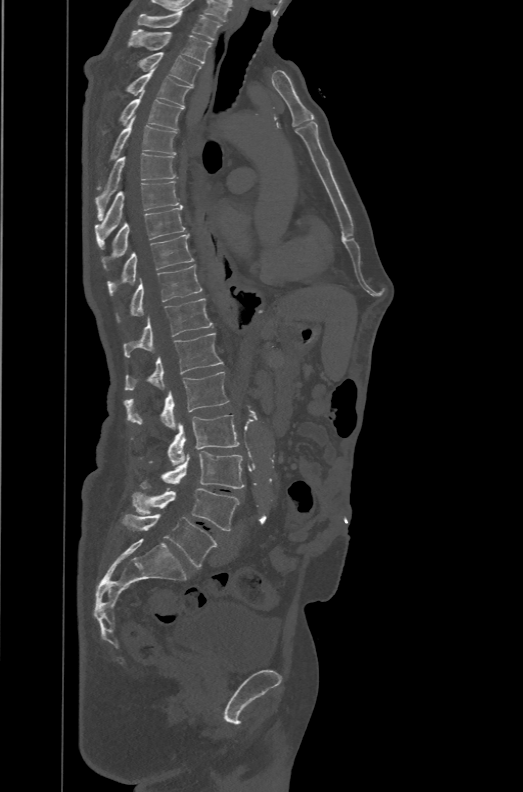
CT, spine — 471 mm image width — sagittal reformat
Boxes are (x1, y1, x2, y2) in pixels.
These labels give the spine a sixth lumbar vertebra, L6, below L5.
Vertebra bounding boxes:
- T1: (137, 11, 222, 40)
- T2: (128, 30, 212, 63)
- T3: (138, 52, 201, 86)
- T4: (127, 69, 191, 107)
- T5: (119, 91, 182, 130)
- T6: (96, 115, 177, 189)
- T7: (94, 153, 177, 220)
- T8: (94, 181, 183, 249)
- T9: (102, 208, 185, 268)
- T10: (107, 234, 193, 294)
- T11: (117, 265, 202, 321)
- T12: (124, 298, 213, 357)
- L1: (125, 333, 222, 390)
- L2: (124, 372, 229, 429)
- L3: (168, 415, 239, 465)
- L4: (141, 451, 244, 488)
- L5: (132, 488, 239, 530)
- L6: (123, 514, 217, 568)